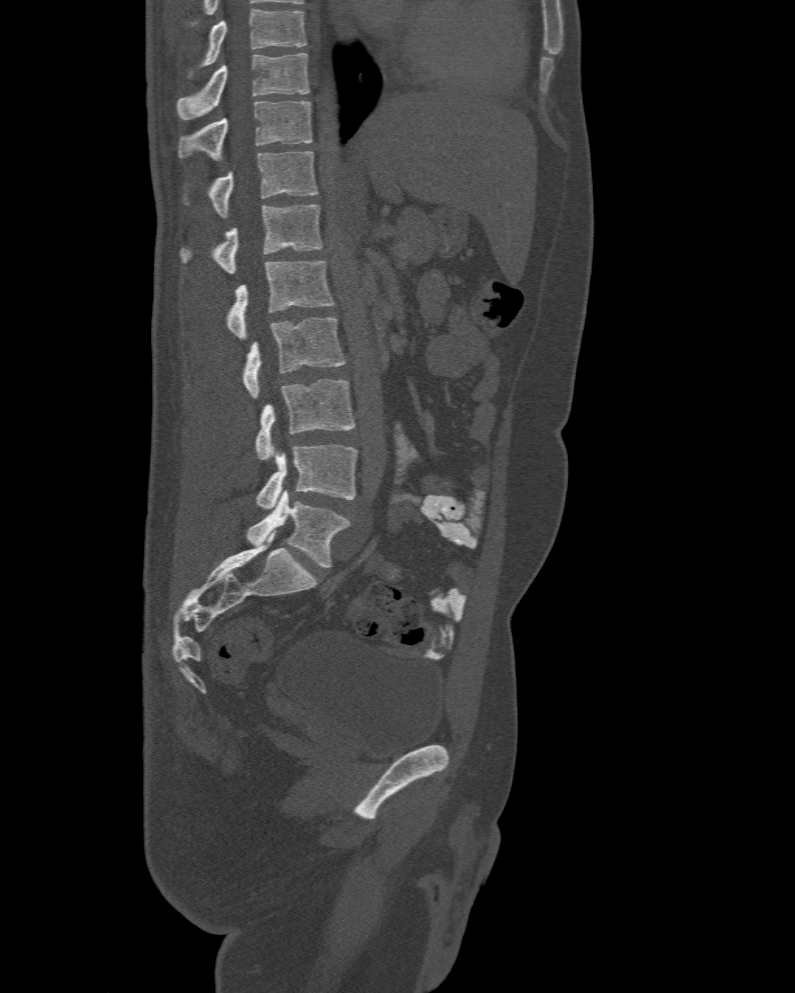

Computed tomography of the spine · sagittal view · 795x993 px
This scan's labels start at T10 at the top and end at L6 at the bottom.
In these labels the spine has an L6, a sixth lumbar vertebra below L5.
<vertebrae><v name="L6" x1="247" y1="490" x2="348" y2="567"/><v name="L5" x1="255" y1="445" x2="358" y2="509"/><v name="L4" x1="255" y1="378" x2="355" y2="459"/><v name="L3" x1="242" y1="317" x2="345" y2="399"/><v name="L2" x1="227" y1="260" x2="334" y2="339"/><v name="L1" x1="180" y1="205" x2="322" y2="274"/><v name="T12" x1="183" y1="151" x2="317" y2="217"/><v name="T11" x1="179" y1="102" x2="313" y2="160"/><v name="T10" x1="177" y1="53" x2="310" y2="119"/></vertebrae>